CT spine · Sagittal slice 315/512
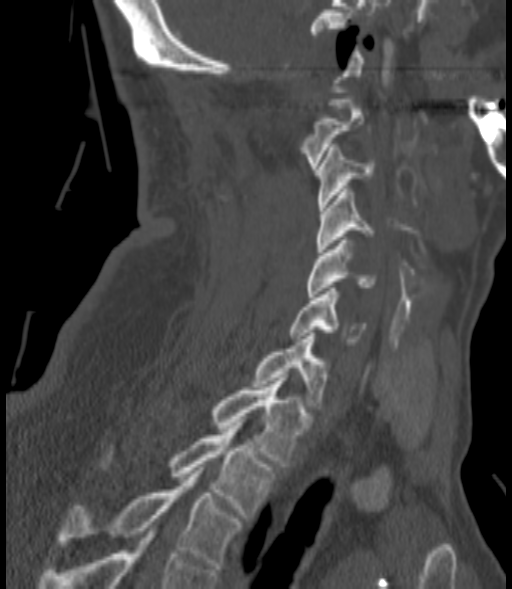
Boxes are (x1, y1, x2, y2) in pixels.
Vertebra bounding boxes:
- T3: (57, 470, 240, 569)
- T2: (101, 426, 274, 517)
- T1: (211, 378, 307, 466)
- C7: (254, 333, 327, 409)
- C6: (290, 288, 366, 345)
- C5: (305, 237, 377, 297)
- C4: (316, 186, 374, 252)
- C3: (316, 147, 374, 210)
- C2: (300, 99, 364, 169)